Spine CT; Sagittal slice 185/382; W/L 1800/400 HU; scan covers 20 annotated vertebrae
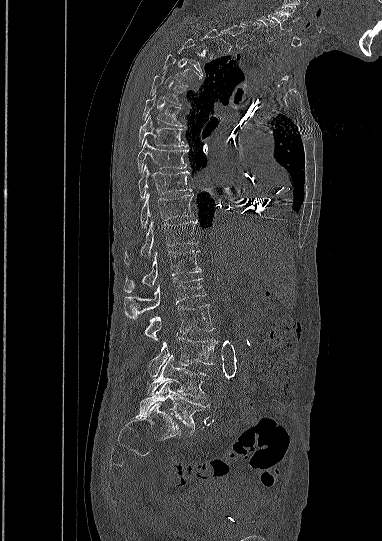
Columns x1, y1, x2, y2 give each box's top-left and bottom-right pixels.
Each vertebra is boxed only on the slices from the first to the last where its cross-section reaches a third of its largest, so a slice outside that range leaves it unboxed.
This scan's labels start at C5 at the top and end at L5 at the bottom.
| vertebra | x1 | y1 | x2 | y2 |
|---|---|---|---|---|
| C5 | 268 | 13 | 287 | 31 |
| C6 | 257 | 17 | 276 | 41 |
| T4 | 164 | 54 | 201 | 86 |
| T5 | 151 | 75 | 181 | 105 |
| T6 | 143 | 97 | 184 | 126 |
| T7 | 139 | 116 | 187 | 146 |
| T8 | 137 | 140 | 187 | 172 |
| T9 | 138 | 165 | 191 | 198 |
| T10 | 140 | 193 | 193 | 227 |
| T11 | 125 | 221 | 197 | 261 |
| T12 | 124 | 249 | 201 | 292 |
| L1 | 125 | 278 | 205 | 317 |
| L2 | 145 | 304 | 213 | 339 |
| L3 | 149 | 337 | 217 | 376 |
| L4 | 147 | 355 | 207 | 399 |
| L5 | 139 | 381 | 209 | 432 |